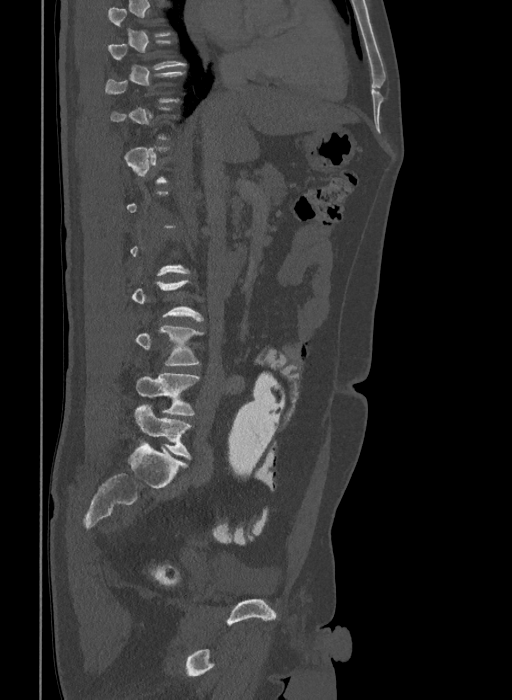 CT spine — sagittal view — 512x700 px
Bounding boxes as [x1, y1, x2, y2] in pixel coordinates. A vertebra is boxed only from the first to the last slice where its cross-section is at least a third of its largest; slices outside that range leave it without a box. In these labels the spine has an L6, a sixth lumbar vertebra below L5. 3 vertebrae labeled — L6 at [133, 404, 190, 459]; L5 at [136, 373, 199, 415]; L4 at [136, 326, 204, 365].